CT · Sagittal slice 183/382 · image 382 mm wide · 20 vertebrae labeled in this scan
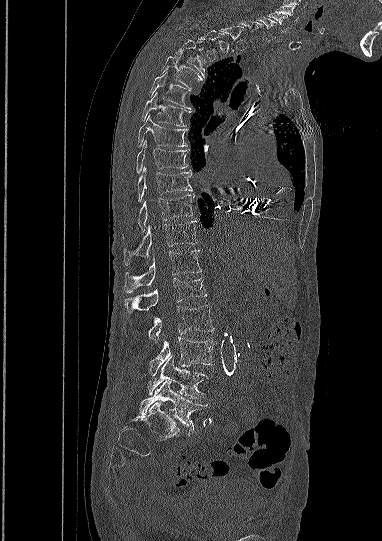 Bounding boxes as [x1, y1, x2, y2] in pixel coordinates. Each vertebra is boxed only on the slices from the first to the last where its cross-section reaches a third of its largest, so a slice outside that range leaves it unboxed. The highest labeled vertebra in this scan is C5; the lowest is L5. 18 vertebrae labeled — C5 at [268, 12, 289, 32]; C6 at [256, 17, 276, 40]; T1 at [219, 24, 245, 53]; T3 at [175, 40, 204, 77]; T4 at [161, 56, 202, 88]; T5 at [150, 73, 190, 109]; T6 at [142, 93, 190, 126]; T7 at [138, 115, 187, 147]; T8 at [136, 140, 189, 172]; T9 at [137, 166, 192, 201]; T10 at [123, 195, 193, 237]; T11 at [124, 220, 197, 264]; T12 at [124, 250, 201, 292]; L1 at [125, 278, 206, 310]; L2 at [148, 305, 214, 341]; L3 at [149, 337, 214, 375]; L4 at [148, 355, 206, 400]; L5 at [140, 380, 208, 432].